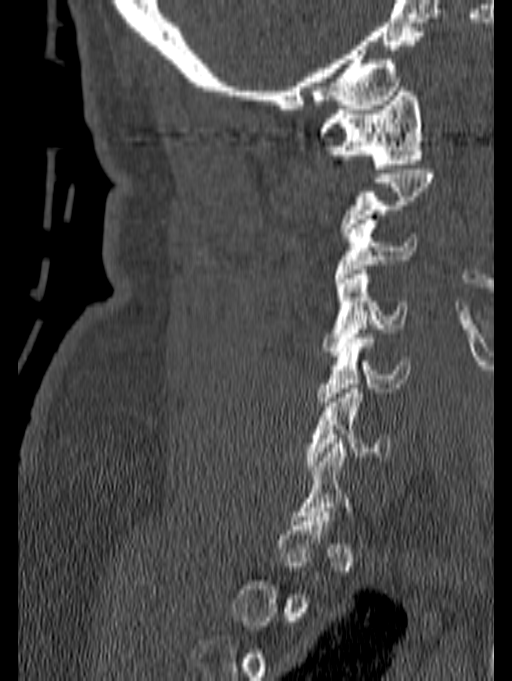

Computed tomography of the spine — sagittal view — image 140 mm wide — Bone window (WL 400, WW 1800) — 512x681 px. Boxes are (x1, y1, x2, y2) in pixels.
A vertebra is boxed only from the first to the last slice where its cross-section is at least a third of its largest; slices outside that range leave it without a box.
Vertebra bounding boxes:
- C1: (317, 87, 424, 168)
- C3: (333, 219, 418, 282)
- C4: (322, 270, 407, 356)
- C5: (316, 334, 410, 406)
- C6: (305, 384, 390, 470)